Spine CT. sagittal reformat. 512x513 px
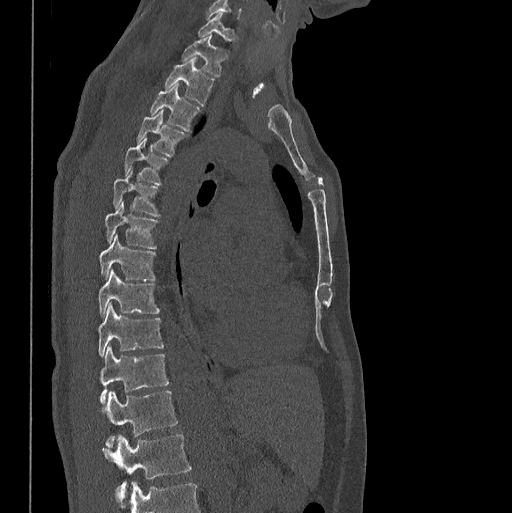
Coordinates as <box>x1,y1,x2,y2</box>.
C7: <box>198,12,234,42</box>
T1: <box>181,35,225,77</box>
T2: <box>165,58,214,106</box>
T3: <box>149,83,201,131</box>
T4: <box>136,110,188,156</box>
T5: <box>123,138,169,185</box>
T6: <box>113,169,161,216</box>
T7: <box>105,200,158,248</box>
T8: <box>99,234,156,280</box>
T9: <box>99,270,160,316</box>
T10: <box>99,303,164,357</box>
T11: <box>100,346,169,404</box>
T12: <box>104,390,178,449</box>
L1: <box>103,434,192,505</box>